Spine CT · the image is 363 mm wide · sagittal view · bone-window reconstruction
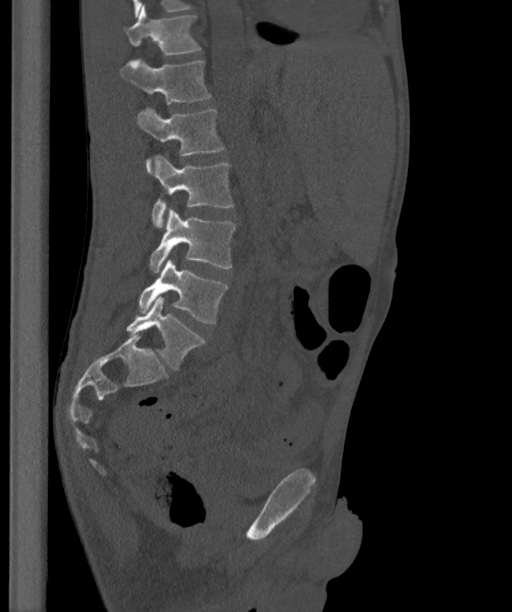

These labels give the spine a sixth lumbar vertebra, L6, below L5.
<vertebrae><v name="L6" x1="126" y1="296" x2="205" y2="370"/><v name="L5" x1="138" y1="259" x2="227" y2="323"/><v name="L4" x1="149" y1="208" x2="236" y2="272"/><v name="L3" x1="152" y1="155" x2="233" y2="227"/><v name="L2" x1="137" y1="107" x2="224" y2="174"/><v name="L1" x1="119" y1="58" x2="212" y2="104"/><v name="T12" x1="124" y1="5" x2="200" y2="55"/></vertebrae>